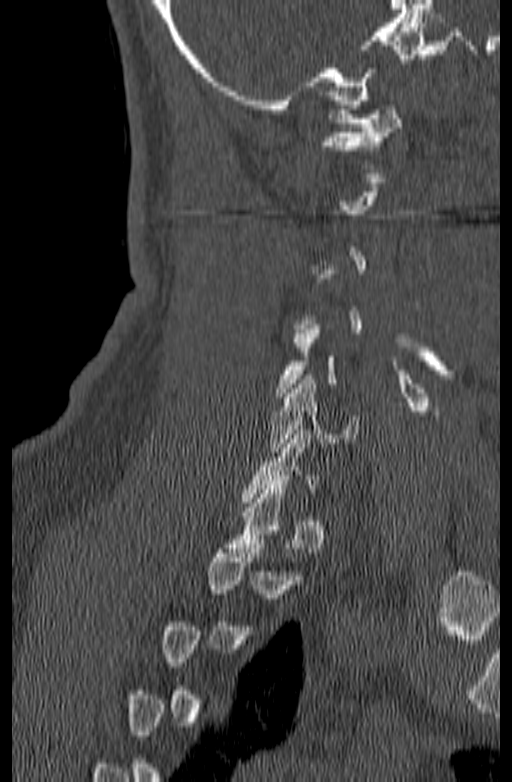
CT spine · sagittal view

Coordinates as <box>x1,y1,x2,y2</box>.
A vertebra is boxed only from the first to the last slice where its cross-section is at least a third of its largest; slices outside that range leave it without a box.
Vertebra bounding boxes:
- C1: <box>321,105,403,168</box>
- C6: <box>269,375,359,452</box>